CT spine · Sagittal slice 203/512 · bone window · scan covers 14 annotated vertebrae
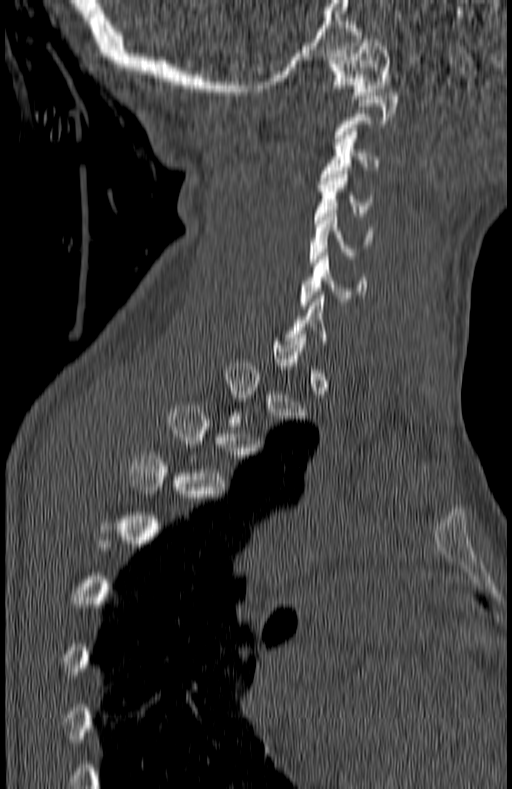

Boxes are (x1, y1, x2, y2) in pixels. A vertebra is boxed only from the first to the last slice where its cross-section is at least a third of its largest; slices outside that range leave it without a box. Vertebrae labeled: C6 at (300, 256, 367, 308), C5 at (309, 210, 373, 262), C4 at (314, 171, 367, 219), C3 at (320, 128, 378, 184), C1 at (328, 39, 390, 99).